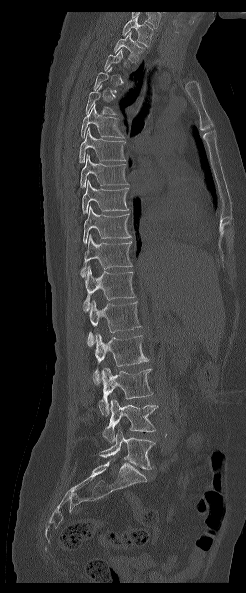 Computed tomography of the spine. 246 mm image width. sagittal view. W/L 1800/400 HU

Each row gives a vertebra's box as x1, y1, x2, y2 in pixels: top-left corner, then bottom-right corner.
Each vertebra is boxed only on the slices from the first to the last where its cross-section reaches a third of its largest, so a slice outside that range leaves it unboxed.
This scan's labels start at T1 at the top and end at L5 at the bottom.
| vertebra | x1 | y1 | x2 | y2 |
|---|---|---|---|---|
| L5 | 99 | 430 | 154 | 469 |
| L4 | 102 | 399 | 158 | 443 |
| L3 | 98 | 367 | 153 | 415 |
| L2 | 93 | 333 | 148 | 384 |
| L1 | 87 | 300 | 140 | 346 |
| T12 | 83 | 266 | 136 | 311 |
| T11 | 80 | 234 | 132 | 277 |
| T10 | 82 | 206 | 131 | 245 |
| T9 | 82 | 180 | 128 | 214 |
| T8 | 80 | 154 | 127 | 187 |
| T7 | 79 | 127 | 125 | 162 |
| T6 | 81 | 103 | 124 | 137 |
| T5 | 86 | 83 | 116 | 115 |
| T2 | 114 | 31 | 144 | 62 |
| T1 | 122 | 17 | 152 | 46 |